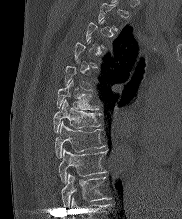
Computed tomography of the spine · sagittal view · W/L 1800/400 HU
Box values are [left, top, right, bottom] in pixels.
A vertebra gets a box only on the slices from the first to the last where its cross-section is at least a third of its largest; on a slice outside that range it gets none.
Labels in this scan begin with T2 at the top and end with T10 at the bottom.
{"vertebrae":{"T10":[61,174,107,207],"T9":[58,148,106,182],"T8":[55,122,104,157],"T7":[53,100,101,132],"T6":[57,80,98,109]}}